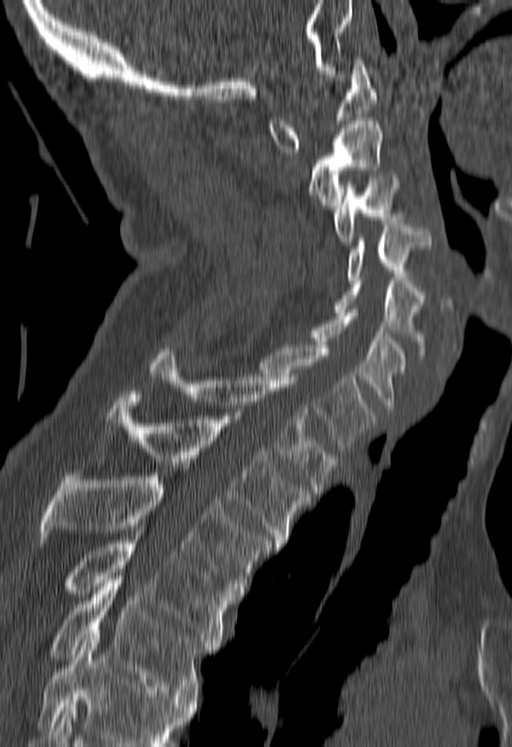 CT spine; sagittal reformat; 512x747 px
Each vertebra maps to its box as [x1, y1, x2, y2], the pixel coordinates of its top-left and bottom-right corners.
Vertebrae that run past the bottom of the scan are left unlabeled.
{"vertebrae":{"T5":[49,580,213,699],"T4":[66,530,230,650],"T3":[40,473,270,596],"T2":[106,391,310,547],"T1":[149,348,336,493],"C7":[260,345,373,454],"C6":[308,309,407,411],"C5":[334,277,424,355],"C4":[345,220,430,280],"C3":[334,174,398,244],"C2":[308,117,381,212],"C1":[268,57,377,152]}}